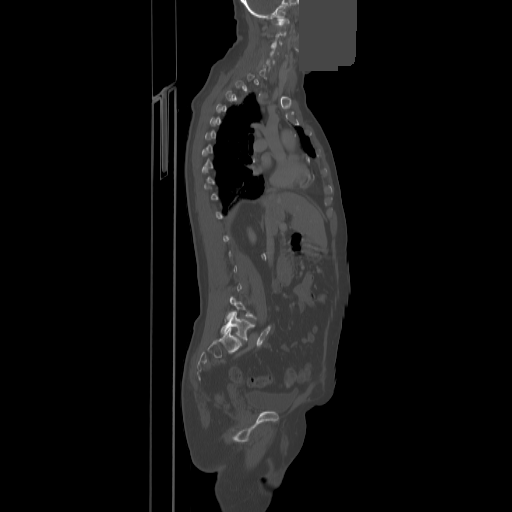

Computed tomography of the spine; sagittal reformat; 512x512 px; part of the image has been replaced by a constant value. Coordinates as <box>x1,y1,x2,y2</box>.
A vertebra is boxed only from the first to the last slice where its cross-section is at least a third of its largest; slices outside that range leave it without a box.
Vertebra bounding boxes:
- C1: <box>278,19,289,26</box>
- L5: <box>221,311,254,340</box>